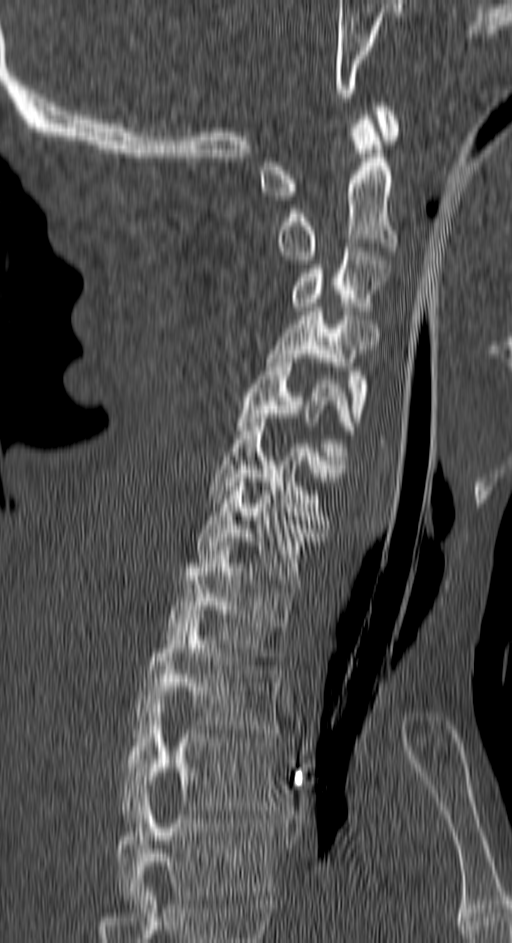

CT spine — sagittal view — Bone window (WL 400, WW 1800) — 512x943 px
Each box given as x1,y1,x2,y2.
In this scan, the topmost labeled vertebra is C1 and the lowest is T4.
| vertebra | x1 | y1 | x2 | y2 |
|---|---|---|---|---|
| C1 | 261 | 102 | 400 | 200 |
| C2 | 278 | 115 | 396 | 264 |
| C3 | 291 | 247 | 389 | 315 |
| C4 | 267 | 307 | 376 | 421 |
| C5 | 235 | 354 | 353 | 468 |
| C6 | 209 | 418 | 342 | 524 |
| C7 | 196 | 474 | 321 | 588 |
| T1 | 165 | 546 | 293 | 660 |
| T2 | 134 | 614 | 282 | 733 |
| T3 | 121 | 700 | 277 | 822 |
| T4 | 117 | 794 | 273 | 904 |